CT · 227 mm wide · sagittal plane, index 413
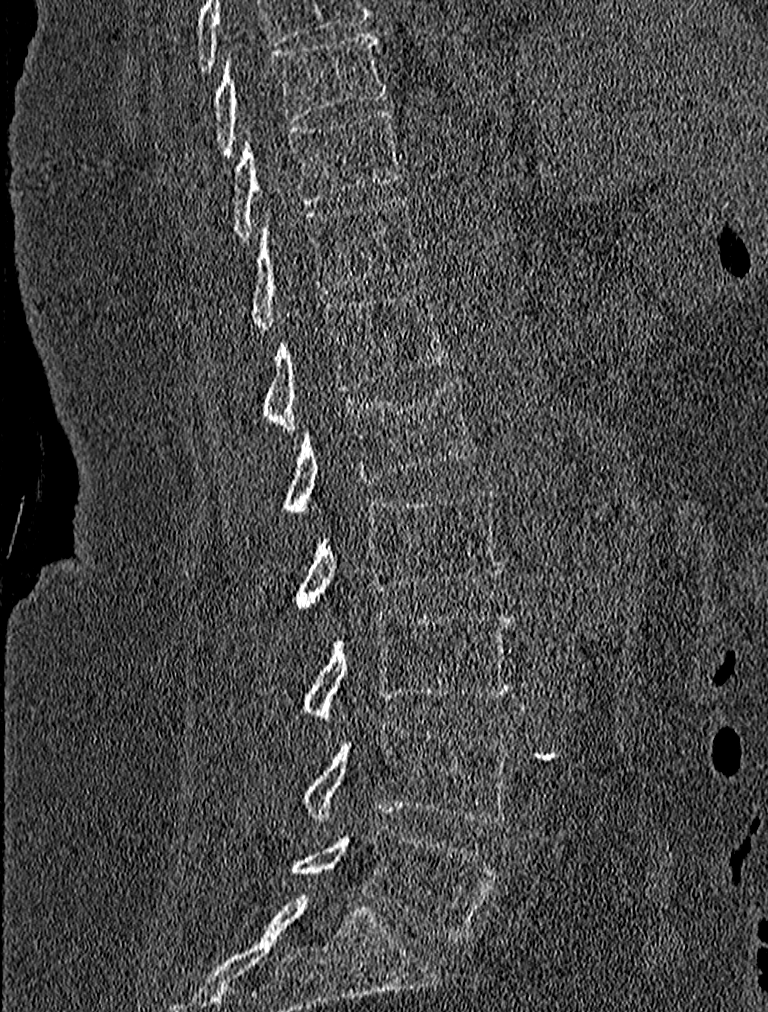 Each box given as x1,y1,x2,y2. 9 vertebrae labeled — L5 at x1=290, y1=824, x2=499, y2=941; L4 at x1=297, y1=719, x2=513, y2=823; L3 at x1=297, y1=611, x2=515, y2=718; L2 at x1=293, y1=487, x2=502, y2=606; L1 at x1=283, y1=379, x2=478, y2=512; T12 at x1=259, y1=288, x2=448, y2=431; T11 at x1=246, y1=196, x2=421, y2=328; T10 at x1=229, y1=108, x2=400, y2=240; T9 at x1=212, y1=30, x2=387, y2=159.